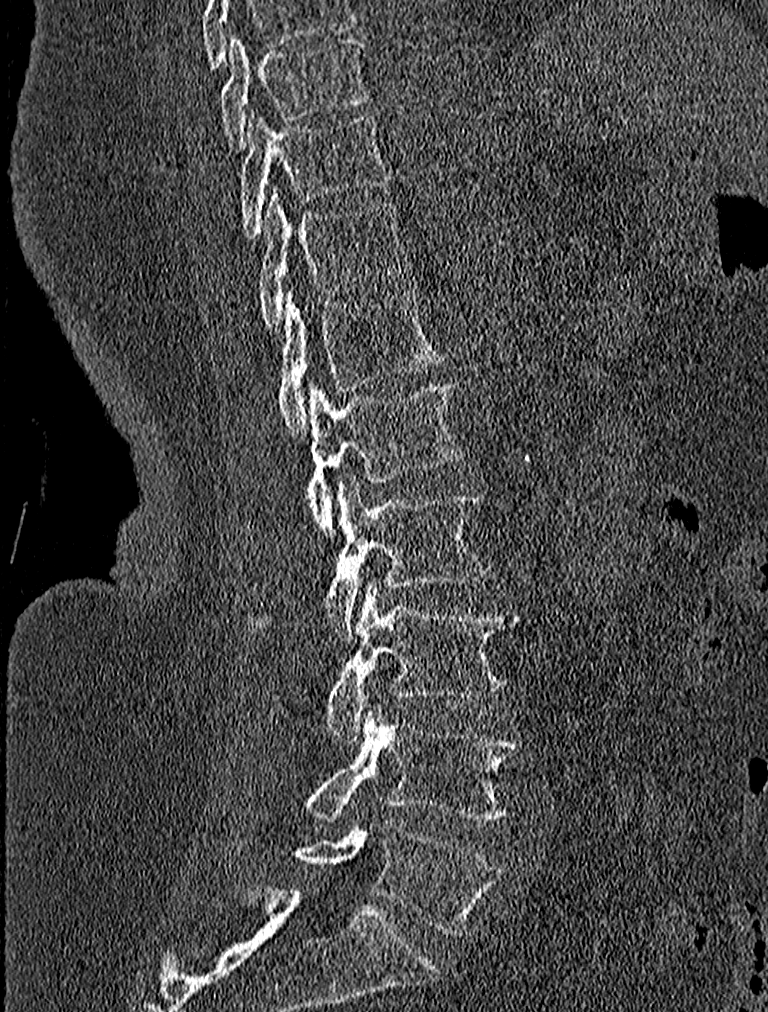 CT, spine · sagittal view · bone window · 768x1012 px
Each box given as x1,y1,x2,y2. Vertebrae labeled: T9 at x1=219, y1=33, x2=370, y2=148, T10 at x1=239, y1=111, x2=394, y2=237, T11 at x1=254, y1=187, x2=411, y2=331, T12 at x1=276, y1=288, x2=444, y2=437, L1 at x1=236, y1=382, x2=465, y2=532, L2 at x1=259, y1=477, x2=488, y2=640, L3 at x1=327, y1=580, x2=519, y2=742, L4 at x1=303, y1=705, x2=523, y2=823, L5 at x1=293, y1=821, x2=499, y2=935.